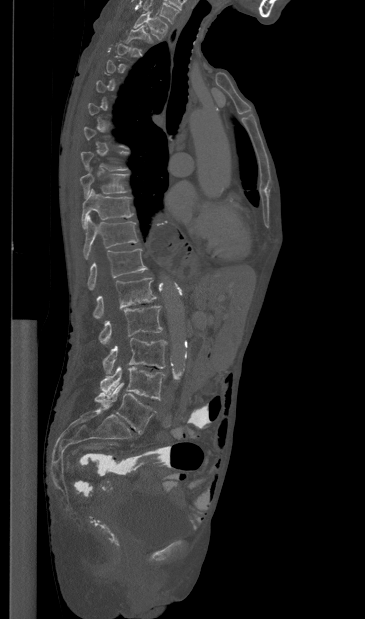 CT, spine. sagittal view. 365x619 px
Each box given as x1,y1,x2,y2.
A vertebra is boxed only from the first to the last slice where its cross-section is at least a third of its largest; slices outside that range leave it without a box.
Labels in this scan begin with T1 at the top and end with L5 at the bottom.
Vertebra bounding boxes:
- L5: x1=94, y1=382, x2=156, y2=433
- L4: x1=100, y1=365, x2=164, y2=400
- L3: x1=102, y1=338, x2=166, y2=375
- L2: x1=99, y1=305, x2=162, y2=343
- L1: x1=93, y1=278, x2=157, y2=318
- T12: x1=87, y1=248, x2=147, y2=290
- T11: x1=83, y1=217, x2=138, y2=259
- T10: x1=82, y1=189, x2=133, y2=228
- T9: x1=80, y1=173, x2=127, y2=197
- T2: x1=126, y1=25, x2=151, y2=42
- T1: x1=133, y1=11, x2=167, y2=39